CT, spine. Sagittal slice 331/512. bone window. scan covers 12 annotated vertebrae
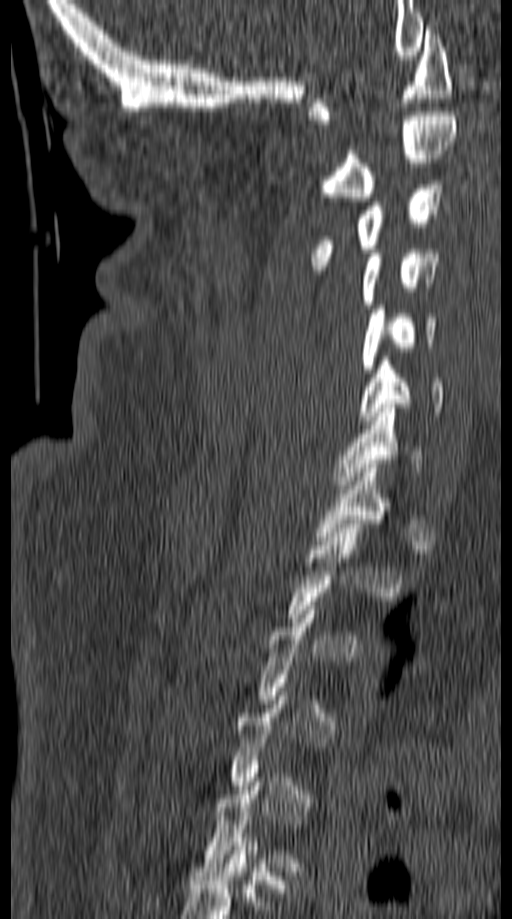
Box edges are left/top/right/bottom in pixels.
Each vertebra is boxed only on the slices from the first to the last where its cross-section reaches a third of its largest, so a slice outside that range leaves it unboxed.
Vertebra bounding boxes:
- C1: left=307, top=26, right=453, bottom=124
- C2: left=317, top=112, right=457, bottom=201
- C3: left=310, top=180, right=443, bottom=270
- C4: left=361, top=249, right=440, bottom=308
- C5: left=359, top=305, right=437, bottom=373
- C6: left=358, top=357, right=443, bottom=424
- C7: left=335, top=404, right=423, bottom=489